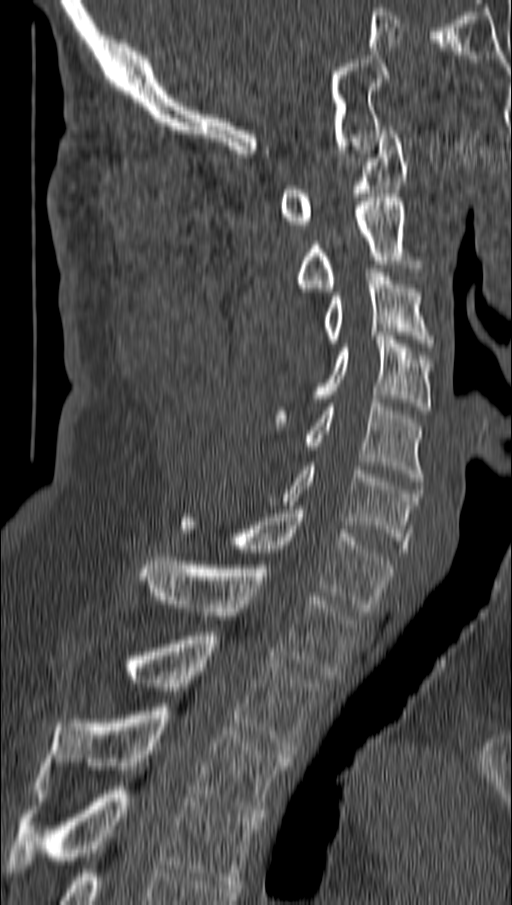
Computed tomography of the spine — sagittal view — W/L 1800/400 HU
Boxes below are [x1, y1, x2, y2] in pixels.
{"vertebrae":{"C1":[279,130,408,228],"C2":[298,198,408,291],"C3":[323,269,433,347],"C4":[275,332,430,426],"C5":[304,399,424,481],"C6":[282,462,417,552],"C7":[181,510,392,611],"T1":[140,557,360,679],"T2":[127,632,319,754],"T3":[39,707,291,817],"T4":[7,786,259,888]}}